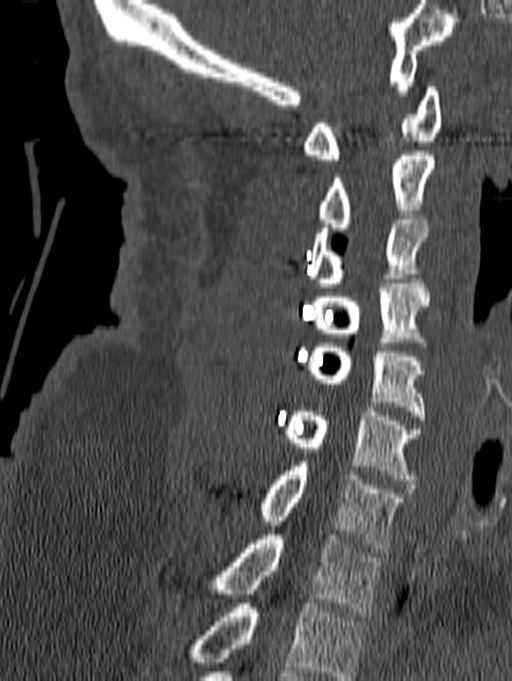
CT — 140 mm wide — sagittal reformat — 512x681 px

Bounding boxes as [x1, y1, x2, y2] in pixel coordinates. The highest labeled vertebra in this scan is C1; the lowest is T1. The labeled vertebrae in this slice are: T1 at [188, 535, 382, 616], C7 at [257, 462, 406, 552], C6 at [283, 407, 420, 484], C5 at [306, 343, 425, 420], C4 at [312, 279, 429, 342], C3 at [309, 215, 428, 287], C2 at [316, 151, 434, 232], C1 at [303, 87, 441, 159].